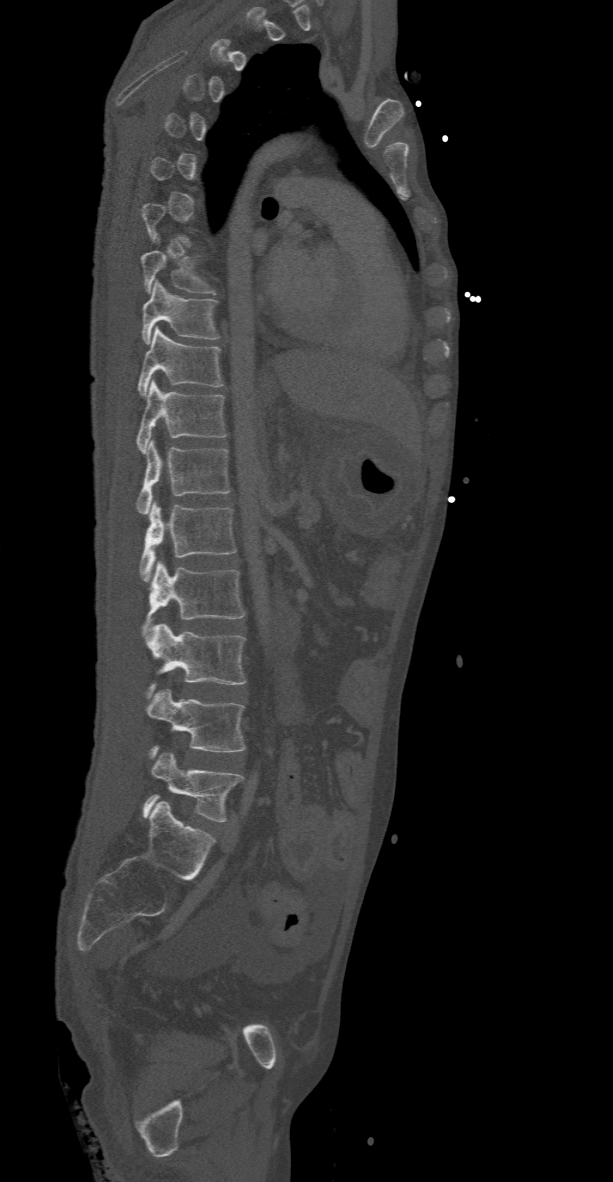

CT spine — sagittal reformat — Bone window (WL 400, WW 1800)

Coordinates as <box>x1,y1,x2,y2</box>.
Not every vertebra on this slice has a box: a vertebra is boxed only from the first to the last slice where its cross-section is at least a third of its largest, and this slice is outside that range for at least one of them.
L5: <box>143,752,243,821</box>
L4: <box>146,689,246,757</box>
L3: <box>145,622,246,696</box>
L2: <box>143,561,243,635</box>
L1: <box>140,501,235,581</box>
T12: <box>137,439,230,514</box>
T11: <box>137,381,227,453</box>
T10: <box>138,327,224,396</box>
T9: <box>141,281,218,345</box>
T8: <box>141,249,216,293</box>